CT spine; sagittal plane, index 288; 833x1119 px
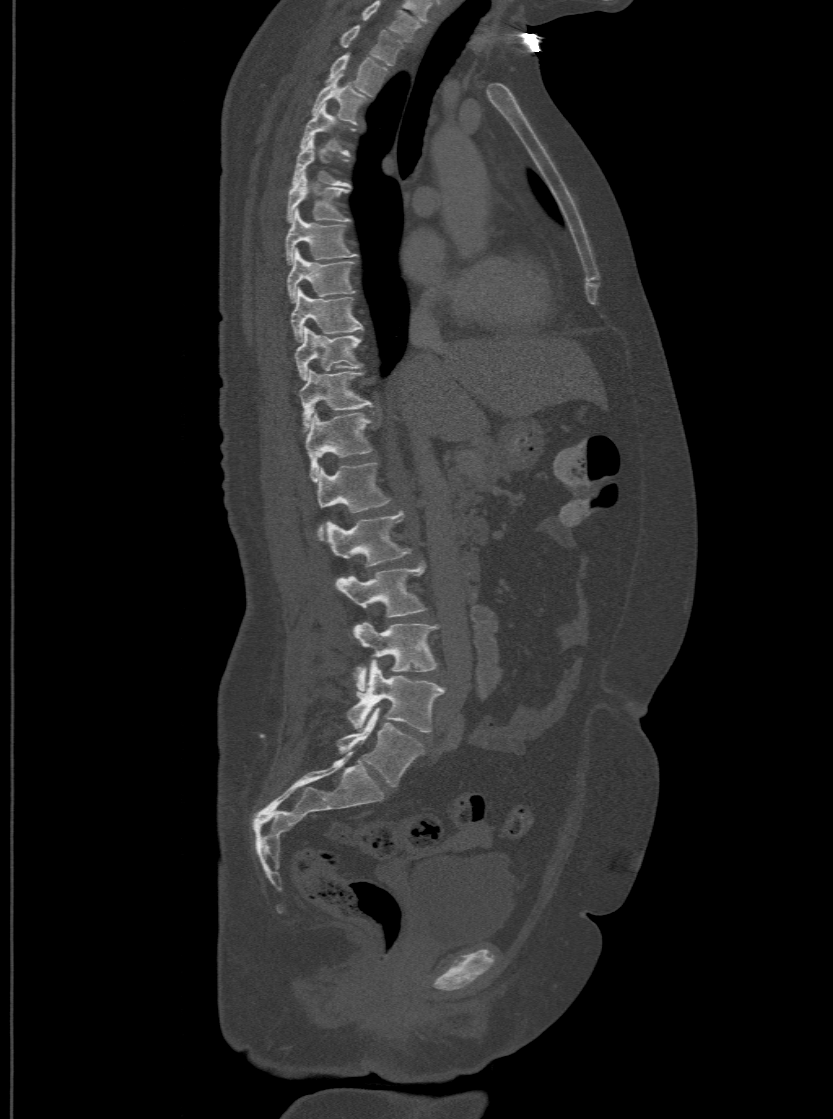

Boxes: x1 y1 x2 y2 (pixel coords, space-separated). The highest labeled vertebra in this scan is T1; the lowest is L6. These labels give the spine a sixth lumbar vertebra, L6, below L5. The labeled vertebrae in this slice are: L6 at 337 708 424 787, L5 at 347 659 443 732, L4 at 353 623 437 693, L3 at 337 563 425 617, L2 at 327 510 411 565, L1 at 317 462 391 539, T12 at 304 412 372 481, T11 at 299 368 370 431, T10 at 295 327 362 379, T9 at 290 288 362 341, T8 at 286 248 354 301, T7 at 285 210 355 264, T6 at 286 173 349 221, T5 at 291 137 349 186, T4 at 299 103 352 152, T3 at 311 75 365 122, T2 at 329 52 388 94, T1 at 340 23 403 64.